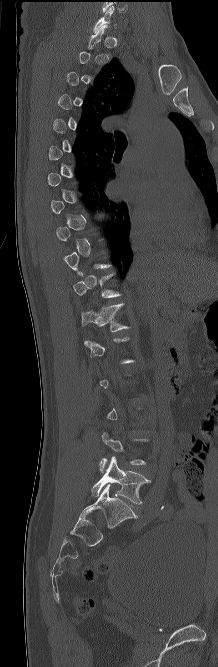

CT spine — sagittal view — Bone window (WL 400, WW 1800) — 218x667 px. Columns x1, y1, x2, y2 give each box's top-left and bottom-right pixels.
Not every vertebra on this slice has a box: a vertebra is boxed only from the first to the last slice where its cross-section is at least a third of its largest, and this slice is outside that range for at least one of them.
| vertebra | x1 | y1 | x2 | y2 |
|---|---|---|---|---|
| C7 | 94 | 7 | 117 | 32 |
| T12 | 81 | 303 | 130 | 331 |
| L5 | 91 | 456 | 150 | 504 |